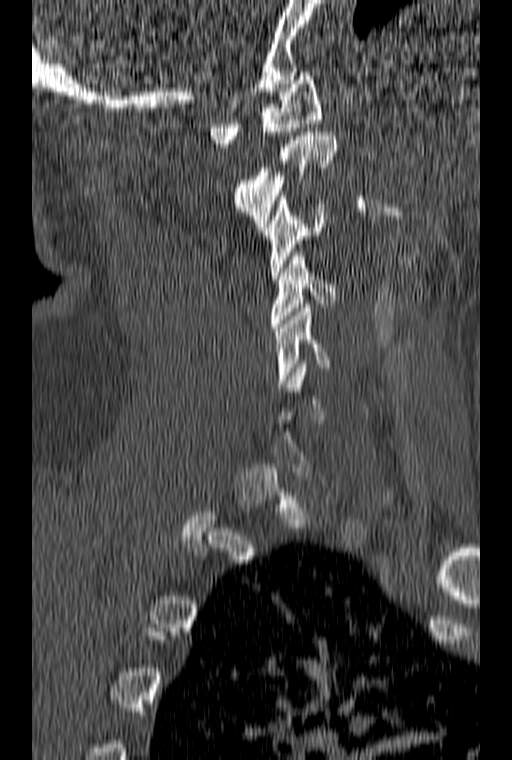 CT, spine — sagittal reformat

Each row gives a vertebra's box as x1, y1, x2, y2 in pixels: top-left corner, then bottom-right corner.
A vertebra gets a box only on the slices from the first to the last where its cross-section is at least a third of its largest; on a slice outside that range it gets none.
| vertebra | x1 | y1 | x2 | y2 |
|---|---|---|---|---|
| C1 | 210 | 72 | 321 | 147 |
| C2 | 232 | 128 | 337 | 231 |
| C3 | 263 | 196 | 327 | 279 |
| C4 | 270 | 252 | 338 | 331 |
| C5 | 274 | 304 | 329 | 387 |